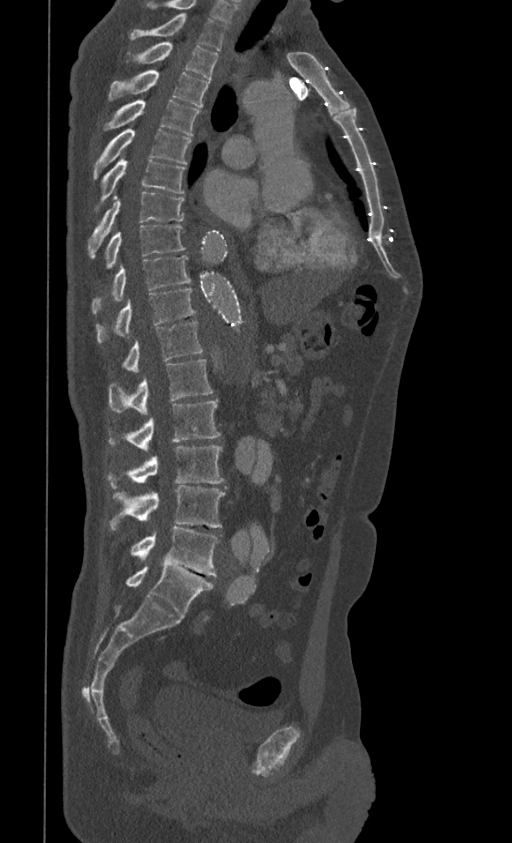 CT spine. sagittal view. W/L 1800/400 HU. 512x843 px. the image spans 399 mm across
Box edges are left/top/right/bottom in pixels.
This scan's labels start at T1 at the top and end at L5 at the bottom.
| vertebra | x1 | y1 | x2 | y2 |
|---|---|---|---|---|
| L5 | 127 | 565 | 213 | 616 |
| L4 | 131 | 527 | 218 | 576 |
| L3 | 110 | 485 | 225 | 528 |
| L2 | 108 | 446 | 223 | 488 |
| L1 | 109 | 401 | 221 | 451 |
| T12 | 109 | 359 | 213 | 414 |
| T11 | 123 | 322 | 203 | 371 |
| T10 | 96 | 288 | 195 | 342 |
| T9 | 91 | 255 | 190 | 313 |
| T8 | 105 | 224 | 185 | 267 |
| T7 | 87 | 192 | 184 | 257 |
| T6 | 96 | 157 | 185 | 209 |
| T5 | 94 | 128 | 191 | 179 |
| T4 | 104 | 99 | 199 | 135 |
| T3 | 108 | 70 | 208 | 106 |
| T2 | 126 | 42 | 219 | 80 |
| T1 | 127 | 13 | 227 | 50 |